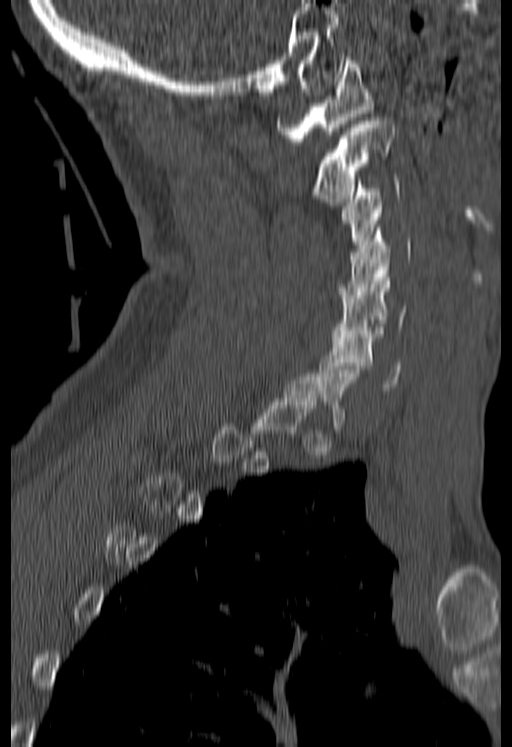

CT spine — sagittal view — W/L 1800/400 HU
Box edges are left/top/right/bottom in pixels.
Not every vertebra on this slice has a box: a vertebra is boxed only from the first to the last slice where its cross-section is at least a third of its largest, and this slice is outside that range for at least one of them.
| vertebra | x1 | y1 | x2 | y2 |
|---|---|---|---|---|
| C6 | 319 | 327 | 401 | 390 |
| C5 | 331 | 274 | 407 | 337 |
| C4 | 339 | 228 | 411 | 298 |
| C3 | 342 | 181 | 398 | 251 |
| C2 | 311 | 117 | 395 | 205 |
| C1 | 276 | 57 | 373 | 141 |